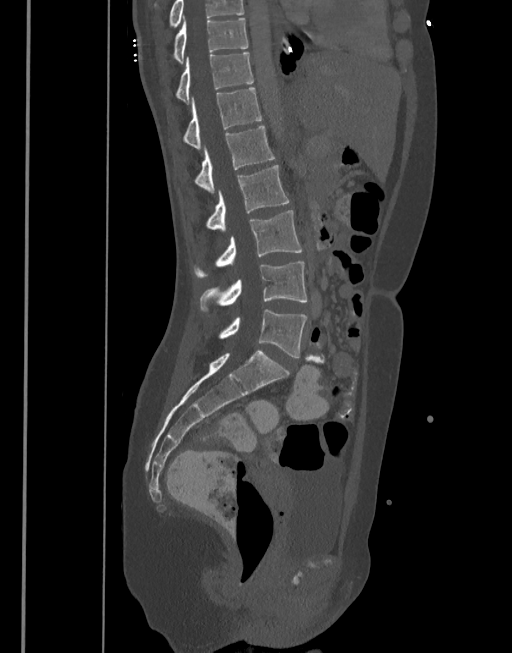 CT · sagittal view
Box edges are left/top/right/bottom in pixels.
This scan's labels start at T10 at the top and end at L5 at the bottom.
Vertebra bounding boxes:
- T10: left=174, top=18, right=247, bottom=63
- T11: left=176, top=53, right=253, bottom=102
- T12: left=183, top=88, right=262, bottom=148
- L1: left=195, top=126, right=275, bottom=192
- L2: left=206, top=165, right=289, bottom=231
- L3: left=194, top=210, right=302, bottom=276
- L4: left=199, top=262, right=307, bottom=311
- L5: left=218, top=309, right=307, bottom=357